CT spine — sagittal plane, index 238 — bone-window reconstruction — 12 vertebrae labeled in this scan
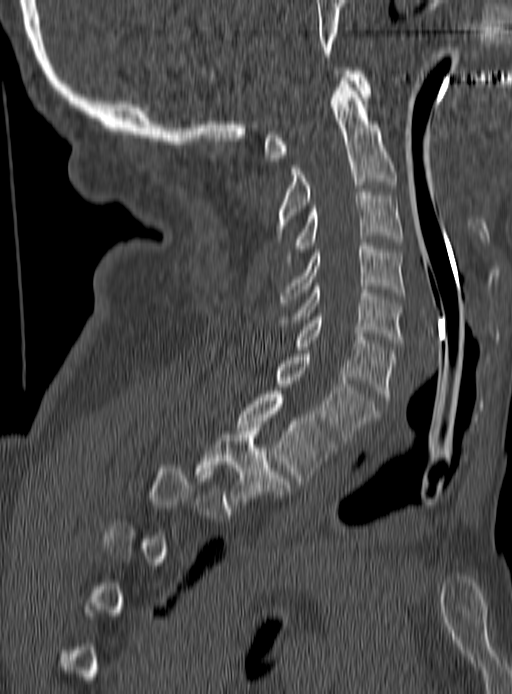 Boxes: x1 y1 x2 y2 (pixel coords, space-separated).
A vertebra is boxed only from the first to the last slice where its cross-section is at least a third of its largest; slices outside that range leave it without a box.
Vertebra bounding boxes:
- C1: 264 67 370 161
- C2: 275 77 396 238
- C3: 293 189 401 252
- C4: 281 243 404 306
- C5: 276 283 404 346
- C6: 295 313 396 400
- C7: 276 350 380 444
- T1: 238 391 337 484
- T2: 195 424 288 508